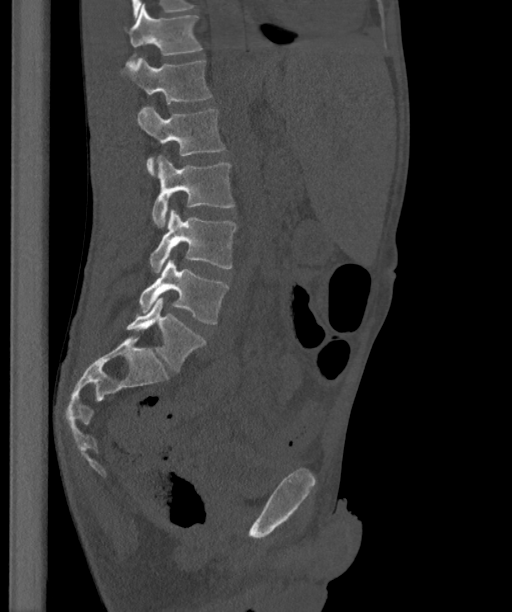
Spine CT; sagittal view
Boxes are (x1, y1, x2, y2) in pixels. The labels name a sixth lumbar vertebra for this spine: L6, after L5. 7 vertebrae labeled — T12 at (124, 4, 202, 55); L1 at (121, 57, 212, 104); L2 at (137, 107, 224, 177); L3 at (152, 155, 234, 227); L4 at (149, 209, 236, 272); L5 at (139, 259, 227, 323); L6 at (126, 297, 206, 371).